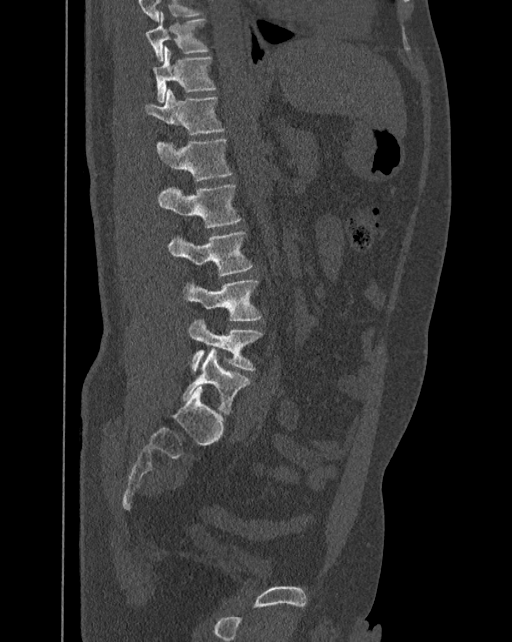

CT spine — sagittal reformat — Bone window (WL 400, WW 1800) — 392 mm wide
Each row gives a vertebra's box as x1, y1, x2, y2 in pixels: top-left corner, then bottom-right corner.
In these labels the spine has an L6, a sixth lumbar vertebra below L5.
| vertebra | x1 | y1 | x2 | y2 |
|---|---|---|---|---|
| L6 | 182 | 348 | 250 | 414 |
| L5 | 188 | 320 | 263 | 372 |
| L4 | 183 | 280 | 261 | 321 |
| L3 | 168 | 232 | 252 | 275 |
| L2 | 158 | 185 | 243 | 228 |
| L1 | 157 | 139 | 233 | 181 |
| T12 | 145 | 89 | 225 | 134 |
| T11 | 153 | 46 | 216 | 102 |
| T10 | 146 | 12 | 209 | 61 |